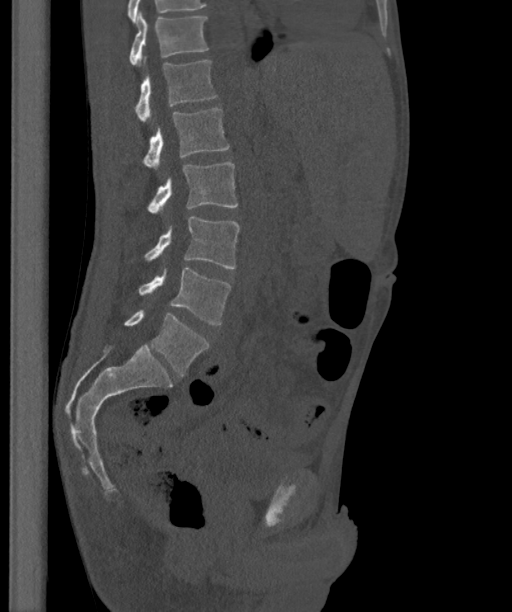

CT; sagittal reformat; Bone window (WL 400, WW 1800); image width 363 mm; 512x612 px
Each box is [x1, y1, x2, y2] in pixels: top-left corner, then bottom-right corner.
The labels name a sixth lumbar vertebra for this spine: L6, after L5.
{"vertebrae":{"T12":[129,11,209,66],"L1":[135,57,217,123],"L2":[142,108,229,169],"L3":[148,162,237,214],"L4":[144,216,239,268],"L5":[139,268,230,324],"L6":[124,310,209,375]}}